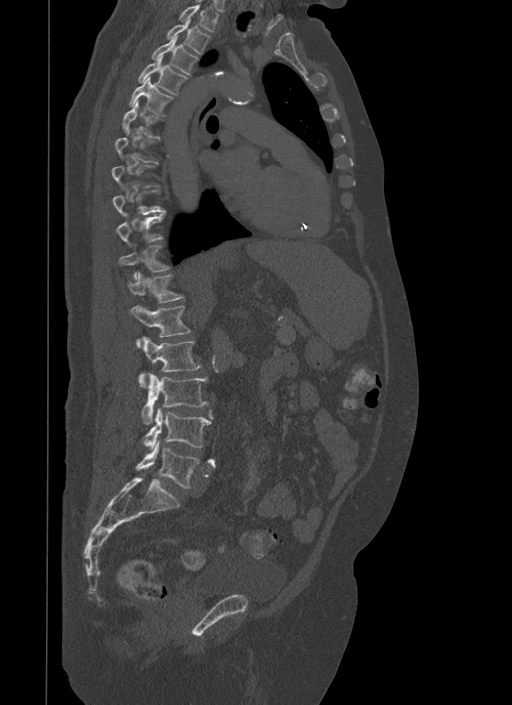
Spine computed tomography; sagittal view; bone window; the image is 500 mm wide; 512x705 px
A vertebra is boxed only from the first to the last slice where its cross-section is at least a third of its largest; slices outside that range leave it without a box.
<vertebrae><v name="T1" x1="178" y1="4" x2="218" y2="32"/><v name="T2" x1="167" y1="18" x2="209" y2="53"/><v name="T3" x1="152" y1="35" x2="198" y2="75"/><v name="T4" x1="139" y1="55" x2="187" y2="94"/><v name="T5" x1="130" y1="76" x2="172" y2="116"/><v name="T6" x1="122" y1="100" x2="159" y2="137"/><v name="T11" x1="118" y1="245" x2="169" y2="280"/><v name="T12" x1="126" y1="271" x2="184" y2="302"/><v name="L1" x1="131" y1="305" x2="190" y2="345"/><v name="L2" x1="139" y1="337" x2="201" y2="386"/><v name="L3" x1="142" y1="373" x2="208" y2="424"/><v name="L4" x1="144" y1="409" x2="212" y2="450"/><v name="L5" x1="136" y1="440" x2="199" y2="487"/></vertebrae>